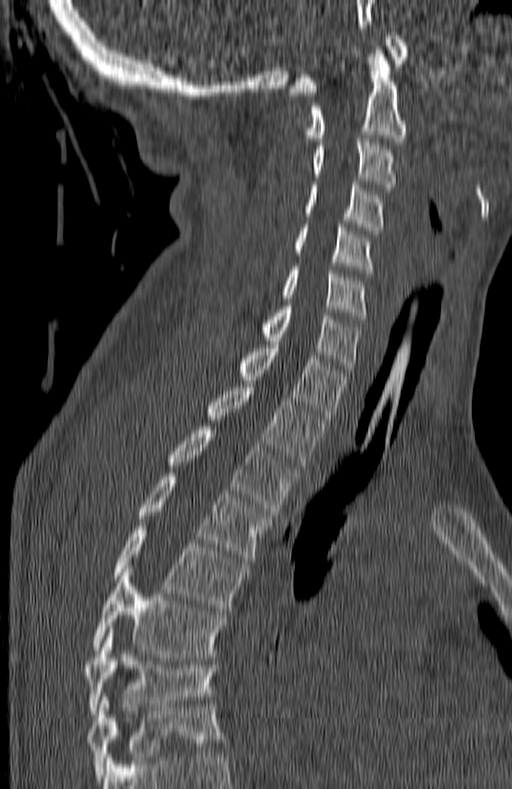
Spine computed tomography · sagittal view · W/L 1800/400 HU. Columns x1, y1, x2, y2 give each box's top-left and bottom-right pixels.
In this scan, the topmost labeled vertebra is C1 and the lowest is T7.
| vertebra | x1 | y1 | x2 | y2 |
|---|---|---|---|---|
| C1 | 289 | 32 | 408 | 95 |
| C2 | 308 | 50 | 404 | 141 |
| C3 | 313 | 139 | 395 | 191 |
| C4 | 305 | 181 | 381 | 234 |
| C5 | 294 | 224 | 373 | 273 |
| C6 | 283 | 267 | 367 | 319 |
| C7 | 263 | 302 | 361 | 376 |
| T1 | 240 | 341 | 347 | 422 |
| T2 | 209 | 384 | 324 | 465 |
| T3 | 169 | 427 | 296 | 515 |
| T4 | 137 | 473 | 270 | 564 |
| T5 | 115 | 526 | 245 | 611 |
| T6 | 92 | 569 | 225 | 657 |
| T7 | 83 | 633 | 216 | 714 |